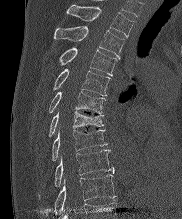
Spine computed tomography · sagittal view · 182 mm across the image · 182x219 px

Coordinates as <box>x1,y1,x2,y2</box>. Vertebrae labeled: T2 at <box>67,5,134,37</box>, T3 at <box>54,26,124,57</box>, T4 at <box>58,47,117,75</box>, T5 at <box>52,69,109,95</box>, T6 at <box>48,91,105,113</box>, T7 at <box>48,111,103,136</box>, T8 at <box>51,129,106,161</box>, T9 at <box>39,149,114,198</box>, T10 at <box>54,175,115,213</box>.